Spine computed tomography; sagittal view; bone window; 371 mm wide
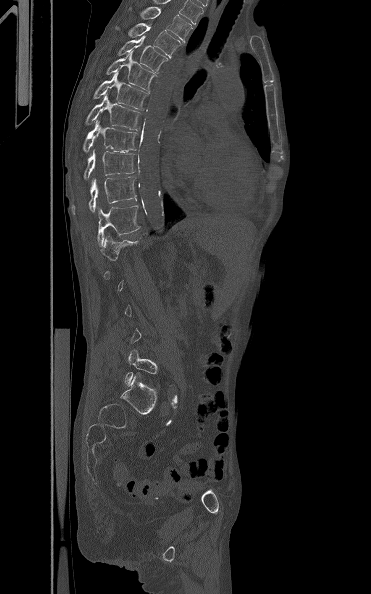
In the table, x1 and y1 are a box's top-left corner and x2 and y2 its bottom-right corner, in pixels.
A vertebra gets a box only on the slices from the first to the last where its cross-section is at least a third of its largest; on a slice outside that range it gets none.
| vertebra | x1 | y1 | x2 | y2 |
|---|---|---|---|---|
| L5 | 125 | 349 | 157 | 386 |
| T12 | 97 | 205 | 141 | 245 |
| T11 | 71 | 176 | 136 | 214 |
| T10 | 83 | 149 | 136 | 179 |
| T9 | 82 | 120 | 138 | 152 |
| T8 | 85 | 94 | 140 | 130 |
| T7 | 93 | 72 | 148 | 109 |
| T6 | 105 | 51 | 155 | 91 |
| T5 | 117 | 35 | 169 | 73 |
| T4 | 115 | 23 | 183 | 58 |
| T3 | 128 | 6 | 192 | 43 |